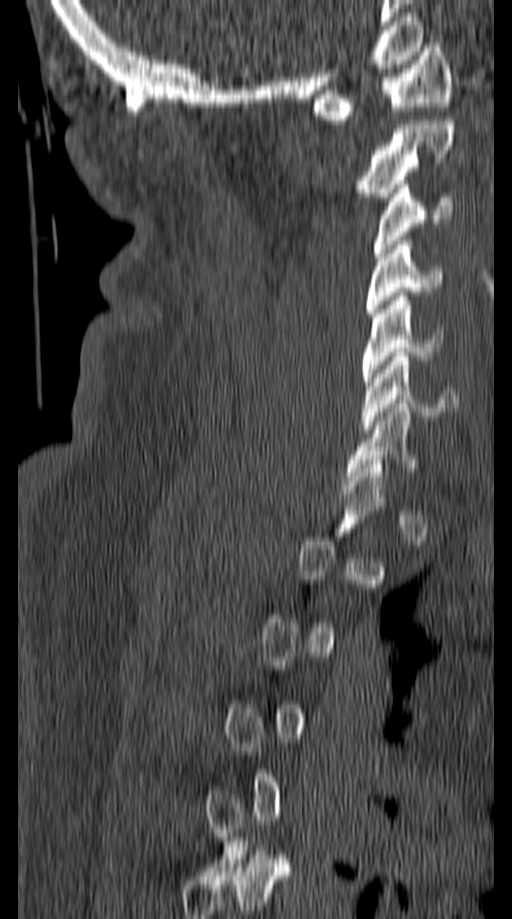

Spine computed tomography — sagittal reformat — Bone window (WL 400, WW 1800)
Boxes: x1 y1 x2 y2 (pixel coords, space-separated).
Not every vertebra on this slice has a box: a vertebra is boxed only from the first to the last slice where its cross-section is at least a third of its largest, and this slice is outside that range for at least one of them.
C1: 313 43 450 124
C2: 355 120 454 201
C3: 372 180 453 257
C4: 365 241 440 317
C5: 362 292 443 386
C6: 362 352 458 433